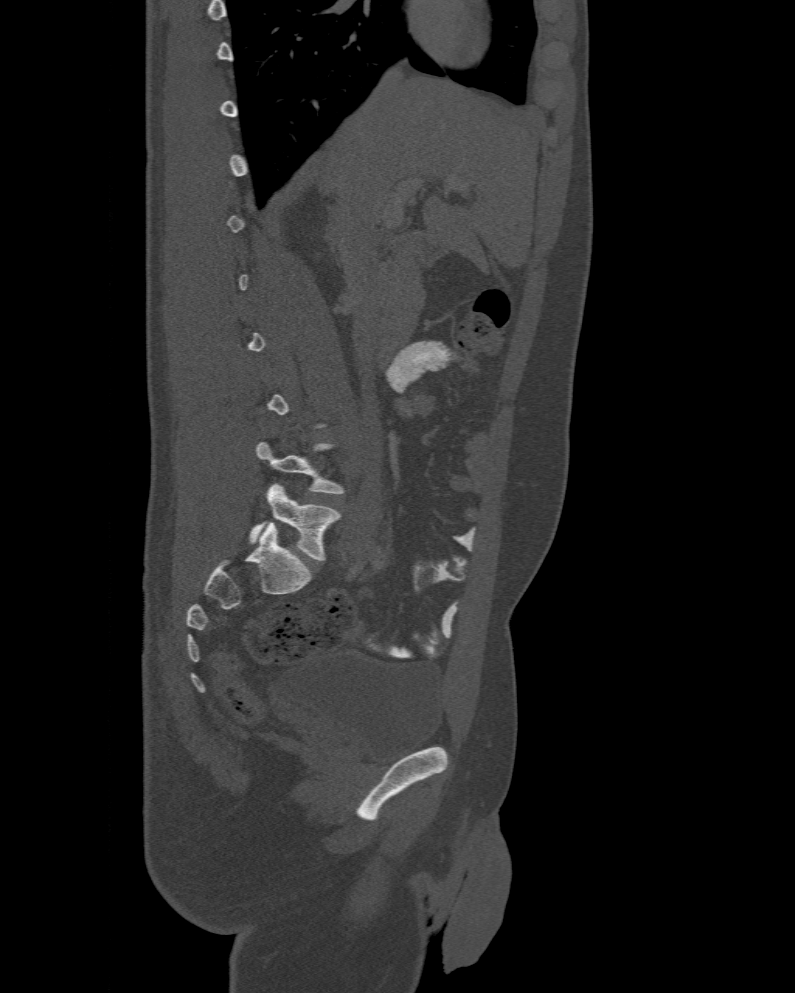
Spine computed tomography. sagittal reformat. bone window
Coordinates as <box>x1,y1,x2,y2</box>.
Each vertebra is boxed only on the slices from the first to the last where its cross-section reaches a third of its largest, so a slice outside that range leaves it unboxed.
In these labels the spine has an L6, a sixth lumbar vertebra below L5.
Vertebra bounding boxes:
- L5: <box>256,442,344,494</box>
- L6: <box>250,483,341,561</box>